CT spine · sagittal view · W/L 1800/400 HU
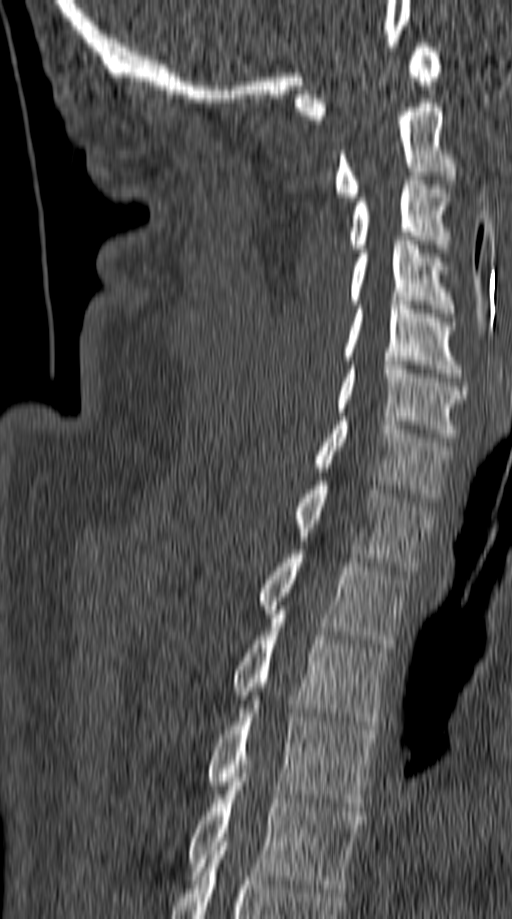
Boxes: x1 y1 x2 y2 (pixel coords, space-separated). 12 vertebrae labeled — C1 at 294 43 441 124; C2 at 335 103 457 201; C3 at 348 172 450 252; C4 at 350 241 454 317; C5 at 342 301 461 377; C6 at 335 361 468 441; C7 at 314 417 451 502; T1 at 293 481 433 570; T2 at 259 554 409 648; T3 at 231 614 389 729; T4 at 207 704 378 807; T5 at 187 777 364 892.